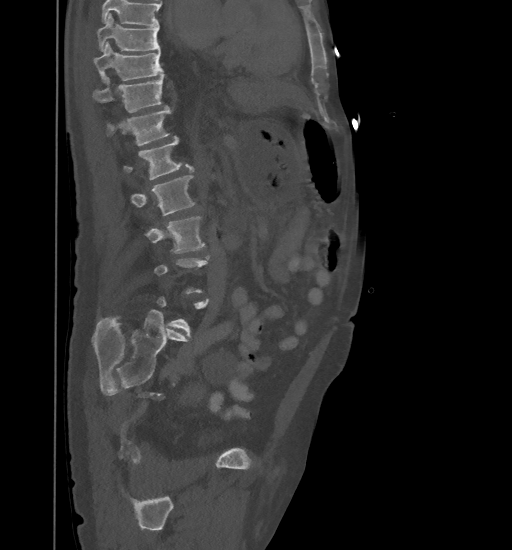 CT; sagittal view; Bone window (WL 400, WW 1800); 461 mm image width
Bounding boxes as [x1, y1, x2, y2] in pixel coordinates. Not every vertebra on this slice has a box: a vertebra is boxed only from the first to the last slice where its cross-section is at least a third of its largest, and this slice is outside that range for at least one of them. Where the top of the scan cuts through a vertebra, that vertebra gets no label or box. Vertebrae labeled: L3 at [146, 217, 205, 252], L2 at [132, 176, 194, 215], L1 at [124, 137, 193, 179], T12 at [107, 108, 171, 146], T11 at [92, 74, 164, 112], T10 at [94, 42, 163, 81], T9 at [96, 13, 159, 51].